Computed tomography of the spine — Sagittal slice 278/512 — bone-window reconstruction — image 367 mm wide
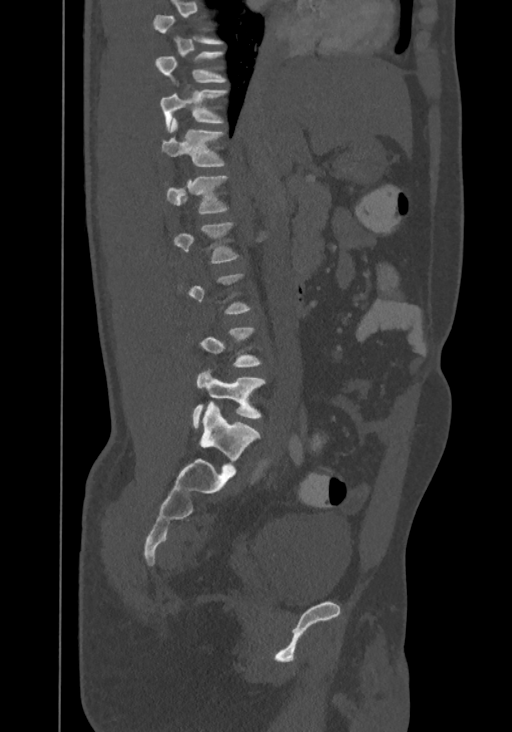 Boxes: x1 y1 x2 y2 (pixel coords, space-separated). A vertebra is boxed only from the first to the last slice where its cross-section is at least a third of its largest; slices outside that range leave it without a box. The highest labeled vertebra in this scan is T8; the lowest is L4. 6 vertebrae labeled — T9 at 155 51 226 83; T10 at 160 83 228 131; T11 at 162 118 225 166; T12 at 166 176 228 214; L1 at 174 221 239 263; L4 at 192 368 265 428.